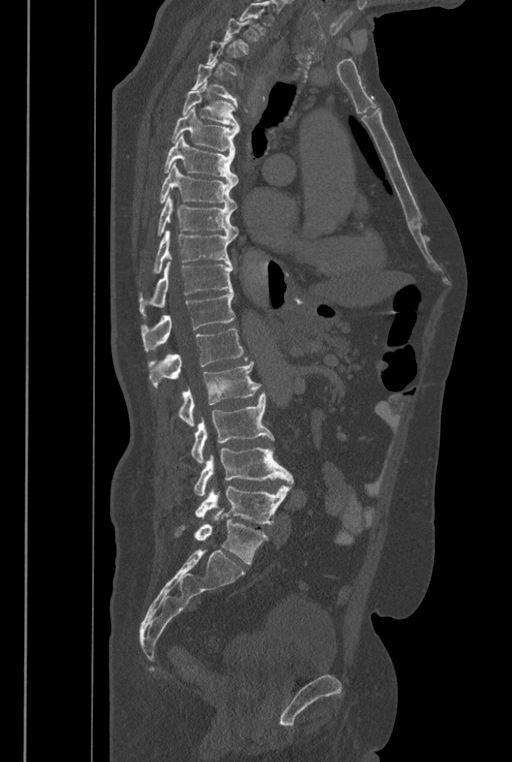

CT spine — sagittal view — 512x762 px
Boxes below are [x1, y1, x2, y2] in pixels.
A vertebra gets a box only on the slices from the first to the last where its cross-section is at least a third of its largest; on a slice outside that range it gets none.
No box is given to a vertebra that the top edge of the scan cuts off.
These labels give the spine a sixth lumbar vertebra, L6, below L5.
{"vertebrae":{"T2":[222,18,251,54],"T4":[192,61,238,111],"T5":[182,82,239,129],"T6":[171,107,239,153],"T7":[164,134,238,183],"T8":[159,163,238,208],"T9":[157,195,237,238],"T10":[153,229,234,273],"T11":[139,261,233,317],"T12":[141,291,234,351],"L1":[148,328,248,387],"L2":[178,361,260,427],"L3":[190,393,274,463],"L4":[194,446,293,495],"L5":[195,486,290,524],"L6":[176,508,268,564]}}